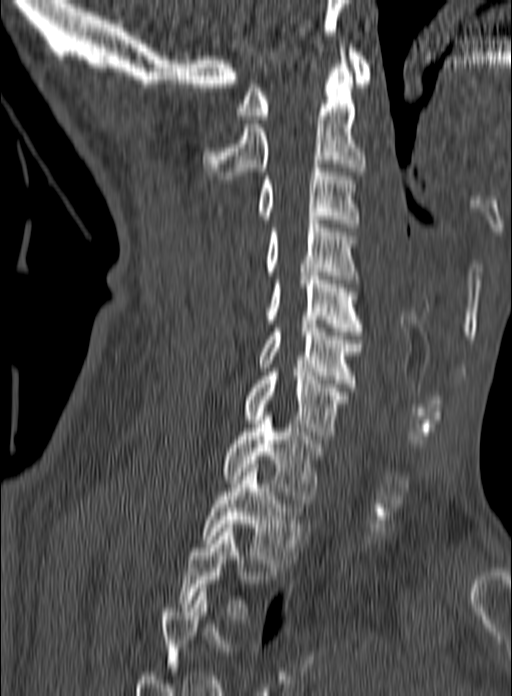
CT — sagittal view — bone window
Each box given as x1,y1,x2,y2.
A vertebra gets a box only on the slices from the first to the last where its cross-section is at least a third of its largest; on a slice outside that range it gets none.
Vertebra bounding boxes:
- T2: x1=203, y1=464, x2=307, y2=567
- T1: x1=222, y1=416, x2=323, y2=503
- C7: x1=244, y1=368, x2=348, y2=439
- C6: x1=259, y1=320, x2=362, y2=387
- C5: x1=267, y1=272, x2=364, y2=335
- C4: x1=266, y1=220, x2=360, y2=283
- C3: x1=257, y1=164, x2=360, y2=227
- C2: x1=202, y1=44, x2=365, y2=179
- C1: x1=235, y1=48, x2=371, y2=119